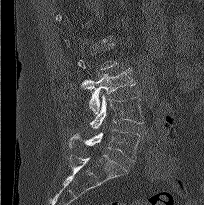
CT spine · sagittal reformat · Bone window (WL 400, WW 1800) · 204x205 px
A vertebra gets a box only on the slices from the first to the last where its cross-section is at least a third of its largest; on a slice outside that range it gets none.
<vertebrae><v name="L3" x1="80" y1="68" x2="135" y2="114"/><v name="L4" x1="89" y1="94" x2="143" y2="128"/><v name="L5" x1="68" y1="129" x2="140" y2="161"/></vertebrae>